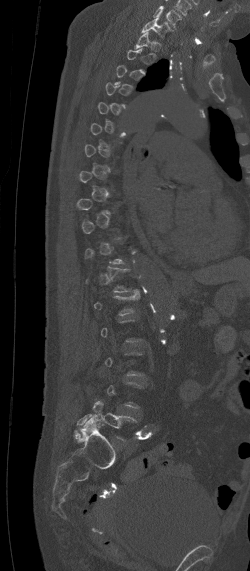 CT, spine · sagittal view · Bone window (WL 400, WW 1800)
Bounding boxes as [x1, y1, x2, y2] in pixel coordinates.
A vertebra gets a box only on the slices from the first to the last where its cross-section is at least a third of its largest; on a slice outside that range it gets none.
This scan's labels start at C7 at the top and end at L5 at the bottom.
Vertebra bounding boxes:
- C7: [141, 17, 173, 38]
- L5: [76, 401, 138, 428]